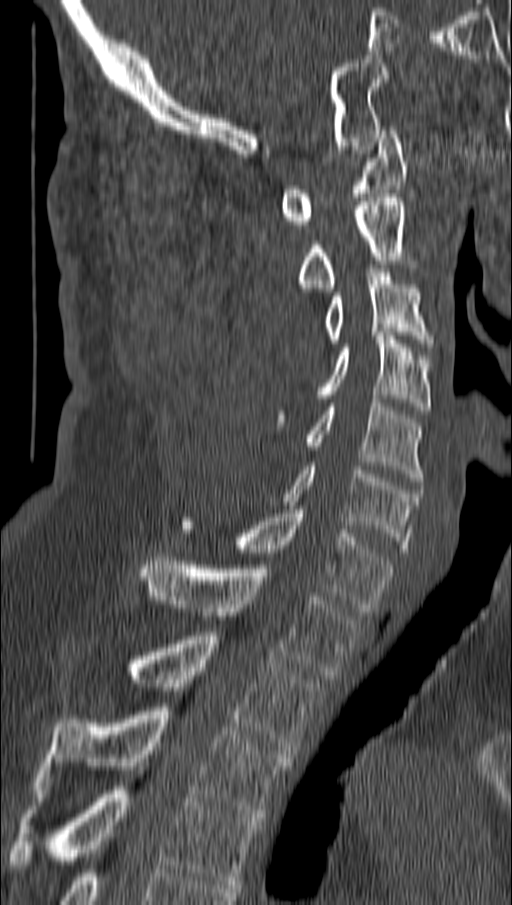
Spine CT · image 162 mm wide · sagittal view
Boxes are (x1, y1, x2, y2) in pixels. 11 vertebrae labeled — T4 at (7, 786, 259, 888); T3 at (39, 707, 291, 817); T2 at (127, 632, 319, 754); T1 at (140, 557, 360, 679); C7 at (181, 510, 392, 611); C6 at (282, 466, 417, 552); C5 at (304, 399, 424, 481); C4 at (276, 332, 430, 426); C3 at (323, 269, 433, 347); C2 at (298, 198, 408, 291); C1 at (279, 130, 408, 228).